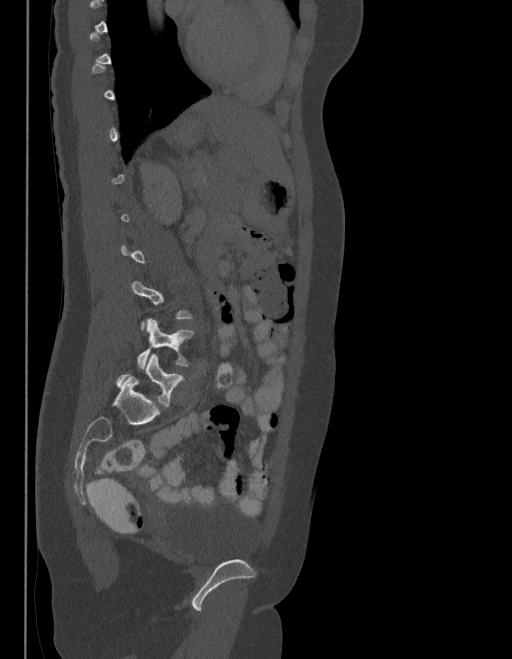 Spine computed tomography — sagittal reformat — 512x659 px
A vertebra is boxed only from the first to the last slice where its cross-section is at least a third of its largest; slices outside that range leave it without a box.
These labels give the spine a sixth lumbar vertebra, L6, below L5.
<vertebrae><v name="L5" x1="137" y1="318" x2="192" y2="368"/><v name="L6" x1="117" y1="353" x2="182" y2="406"/></vertebrae>